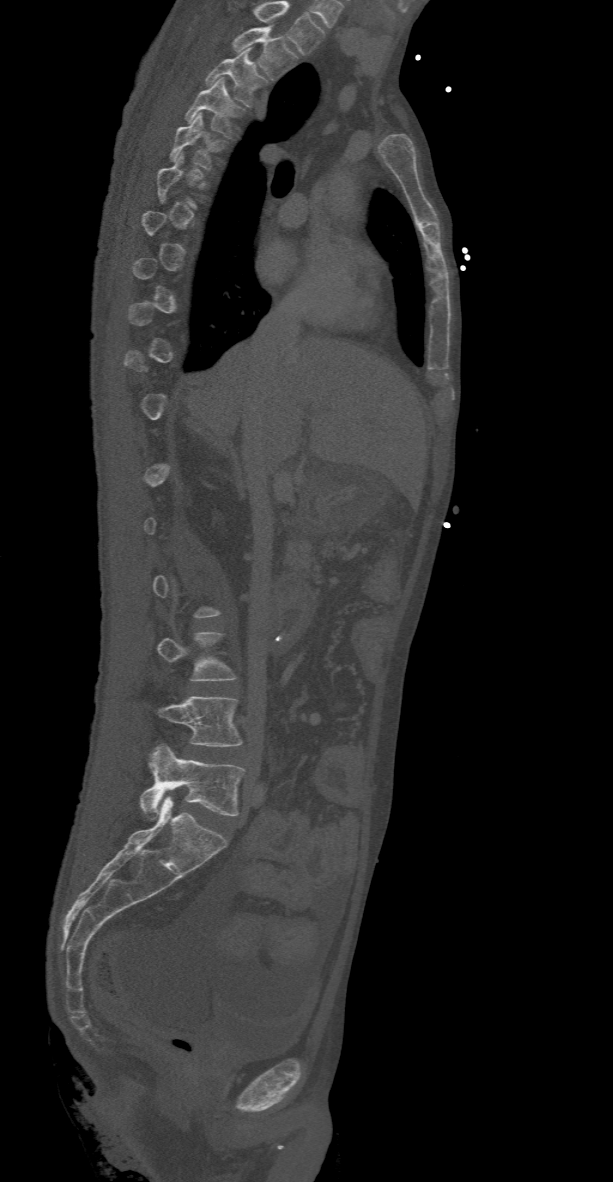 Spine computed tomography; sagittal view

In the table, x1 and y1 are a box's top-left corner and x2 and y2 its bottom-right corner, in pixels.
Each vertebra is boxed only on the slices from the first to the last where its cross-section reaches a third of its largest, so a slice outside that range leaves it unboxed.
Labels in this scan begin with T2 at the top and end with L5 at the bottom.
| vertebra | x1 | y1 | x2 | y2 |
|---|---|---|---|---|
| T2 | 231 | 26 | 298 | 80 |
| T3 | 205 | 48 | 269 | 106 |
| T4 | 184 | 77 | 246 | 137 |
| T5 | 169 | 112 | 229 | 170 |
| L3 | 157 | 632 | 237 | 681 |
| L4 | 143 | 696 | 242 | 746 |
| L5 | 140 | 744 | 246 | 818 |